CT. sagittal view. bone window. scan covers 8 annotated vertebrae
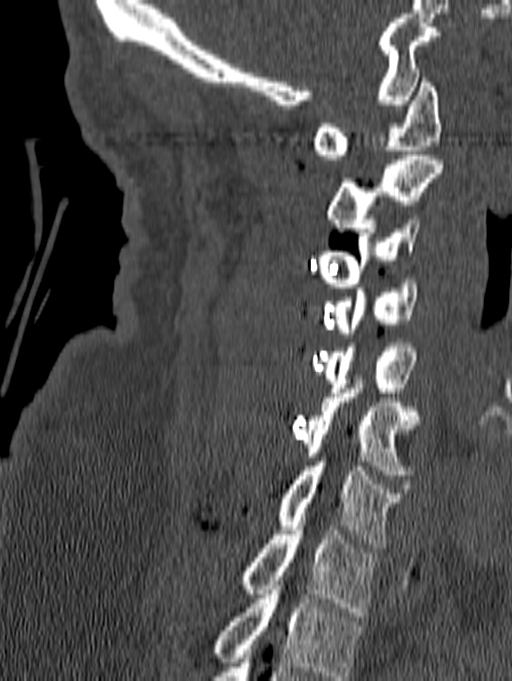 Each box given as x1,y1,x2,y2.
This scan's labels start at C1 at the top and end at T1 at the bottom.
C1: x1=312, y1=78, x2=441, y2=159
C2: x1=327, y1=155, x2=443, y2=232
C3: x1=319, y1=215, x2=420, y2=287
C4: x1=334, y1=279, x2=418, y2=337
C5: x1=323, y1=343, x2=417, y2=392
C6: x1=301, y1=379, x2=421, y2=474
C7: x1=278, y1=457, x2=403, y2=548
T1: x1=243, y1=526, x2=376, y2=616